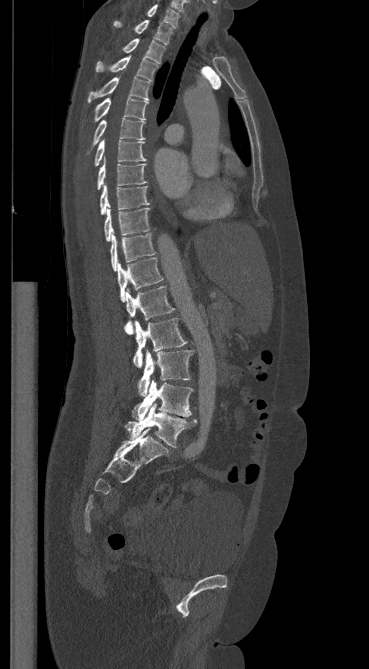

Computed tomography of the spine — the image is 369 mm wide — sagittal view — W/L 1800/400 HU

In the table, x1 and y1 are a box's top-left corner and x2 and y2 its bottom-right corner, in pixels.
| vertebra | x1 | y1 | x2 | y2 |
|---|---|---|---|---|
| C7 | 147 | 4 | 179 | 27 |
| T1 | 114 | 20 | 172 | 44 |
| T2 | 122 | 39 | 164 | 63 |
| T3 | 96 | 56 | 157 | 81 |
| T4 | 88 | 77 | 149 | 101 |
| T5 | 94 | 97 | 148 | 121 |
| T6 | 88 | 118 | 146 | 152 |
| T7 | 94 | 140 | 146 | 166 |
| T8 | 97 | 160 | 146 | 189 |
| T9 | 100 | 184 | 148 | 214 |
| T10 | 104 | 205 | 149 | 241 |
| T11 | 110 | 233 | 155 | 270 |
| T12 | 117 | 258 | 163 | 301 |
| L1 | 124 | 286 | 174 | 334 |
| L2 | 133 | 318 | 187 | 367 |
| L3 | 138 | 350 | 192 | 396 |
| L4 | 132 | 379 | 192 | 421 |
| L5 | 125 | 404 | 196 | 447 |